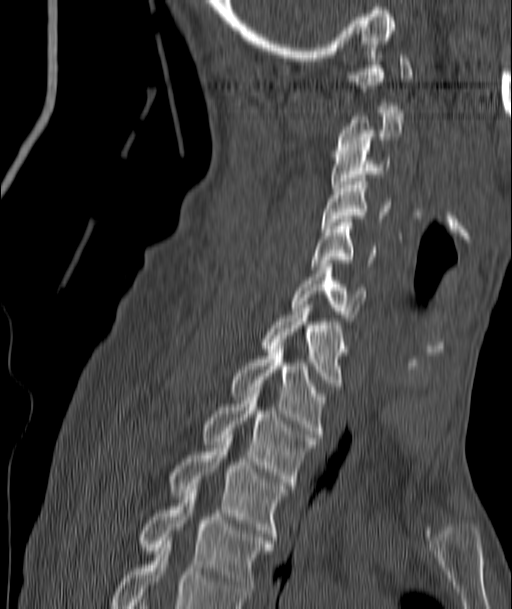
CT · sagittal view · 512x609 px
Each box is [x1, y1, x2, y2] in pixels: top-left corner, then bottom-right corner.
{"vertebrae":{"C1":[346,48,413,88],"C2":[338,106,405,150],"C3":[329,144,389,191],"C4":[321,178,389,228],"C5":[310,219,375,266],"C6":[291,264,364,338],"C7":[261,305,348,389],"T1":[231,349,326,437],"T2":[201,397,315,485],"T3":[168,445,287,540],"T4":[138,489,274,598]}}